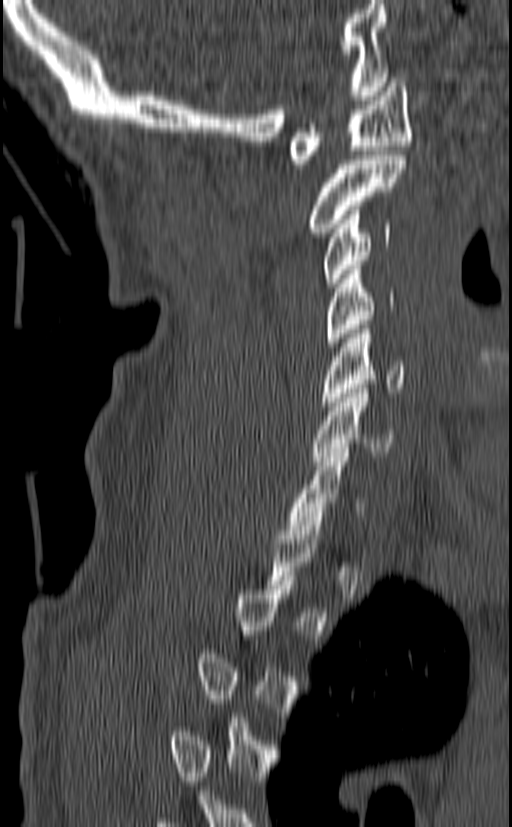
CT — sagittal view — 512x827 px
Bounding boxes as [x1, y1, x2, y2] in pixel coordinates.
A vertebra is boxed only from the first to the last slice where its cross-section is at least a third of its largest; slices outside that range leave it without a box.
Vertebra bounding boxes:
- C1: [290, 78, 412, 168]
- C2: [309, 155, 406, 237]
- C3: [324, 206, 391, 287]
- C4: [323, 265, 395, 346]
- C5: [320, 325, 406, 406]
- C6: [312, 384, 395, 461]
- C7: [287, 448, 364, 534]